Spine computed tomography; 140 mm across the image; sagittal reformat; 512x933 px; part of the image has been replaced by a constant value
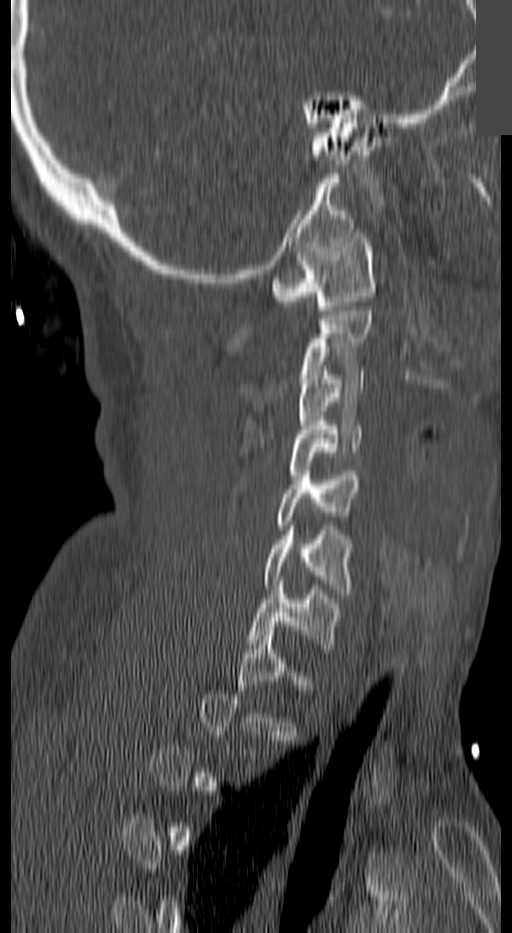 Boxes are (x1, y1, x2, y2) in pixels.
A vertebra is boxed only from the first to the last slice where its cross-section is at least a third of its largest; slices outside that range leave it without a box.
C1: (272, 233, 373, 314)
C3: (298, 370, 362, 438)
C4: (290, 421, 362, 479)
C5: (276, 471, 359, 529)
C6: (265, 526, 351, 593)
C7: (250, 581, 340, 648)